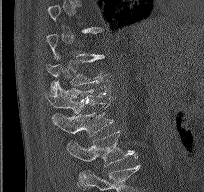

CT · sagittal view
Each row gives a vertebra's box as x1, y1, x2, y2 in pixels: top-left corner, then bottom-right corner.
Not every vertebra on this slice has a box: a vertebra is boxed only from the first to the last slice where its cross-section is at least a third of its largest, and this slice is outside that range for at least one of them.
The highest labeled vertebra in this scan is T9; the lowest is L2.
| vertebra | x1 | y1 | x2 | y2 |
|---|---|---|---|---|
| T11 | 47 | 55 | 105 | 94 |
| T12 | 45 | 80 | 108 | 128 |
| L1 | 53 | 97 | 113 | 136 |
| L2 | 66 | 130 | 137 | 167 |